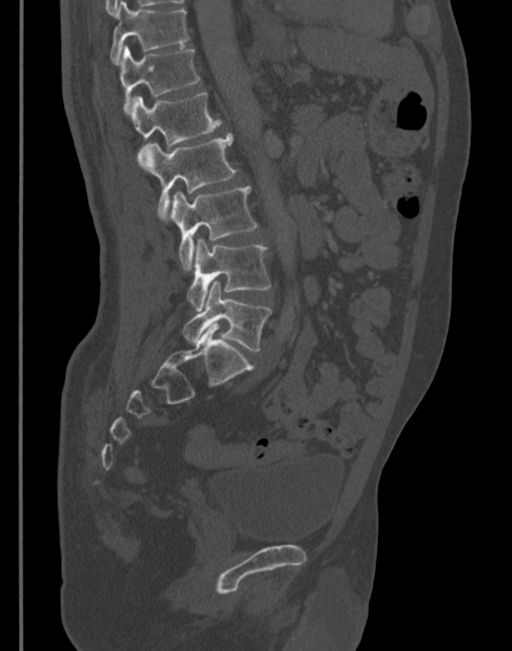 CT, spine · sagittal reformat · bone-window reconstruction · image 345 mm wide

Boxes: x1 y1 x2 y2 (pixel coords, space-separated). 7 vertebrae labeled — T11 at 110 1 189 63; T12 at 120 45 199 114; L1 at 129 93 221 152; L2 at 139 133 236 220; L3 at 167 186 257 270; L4 at 187 239 270 311; L5 at 182 280 272 352.